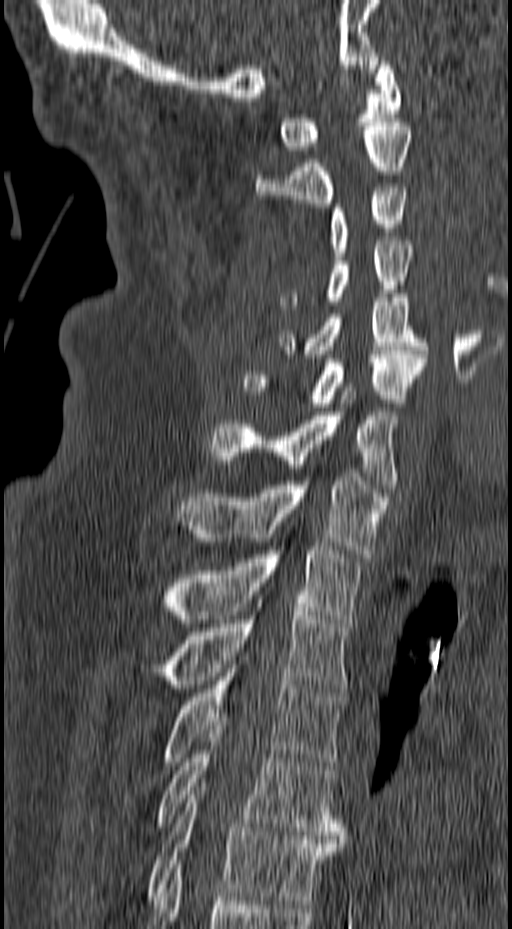

Spine CT · image 157 mm wide · sagittal reformat · W/L 1800/400 HU. Boxes: x1:y1:x2:y2 in pixels.
C1: 278:57:401:154
C2: 256:122:412:207
C3: 327:188:409:256
C4: 278:241:412:309
C5: 278:294:427:358
C6: 242:351:427:411
C7: 207:387:398:488
T1: 177:473:388:557
T2: 164:546:362:623
T3: 162:607:349:692
T4: 162:656:346:769
T5: 157:726:346:839
T6: 145:787:343:904